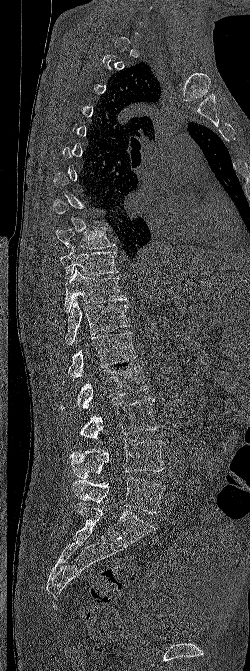 CT · sagittal view · bone-window reconstruction
Each row gives a vertebra's box as x1, y1, x2, y2 in pixels: top-left corner, then bottom-right corner.
Each vertebra is boxed only on the slices from the first to the last where its cross-section reaches a third of its largest, so a slice outside that range leaves it unboxed.
| vertebra | x1 | y1 | x2 | y2 |
|---|---|---|---|---|
| T9 | 56 | 227 | 116 | 249 |
| T10 | 60 | 246 | 118 | 278 |
| T11 | 64 | 268 | 127 | 312 |
| T12 | 65 | 299 | 131 | 345 |
| L1 | 68 | 332 | 137 | 377 |
| L2 | 60 | 366 | 147 | 410 |
| L3 | 67 | 398 | 159 | 438 |
| L4 | 69 | 438 | 164 | 478 |
| L5 | 72 | 476 | 165 | 513 |